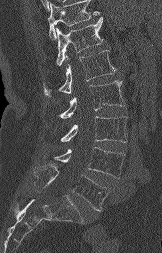

CT · sagittal view. Boxes: x1:y1:x2:y2 in pixels. Where the top of the scan cuts through a vertebra, that vertebra gets no label or box. Vertebrae labeled: T12 at 56:17:103:65, L1 at 44:50:116:96, L2 at 59:80:125:118, L3 at 61:116:127:142, L4 at 54:147:124:178, L5 at 34:164:108:210.